CT spine — 140 mm wide — sagittal reformat
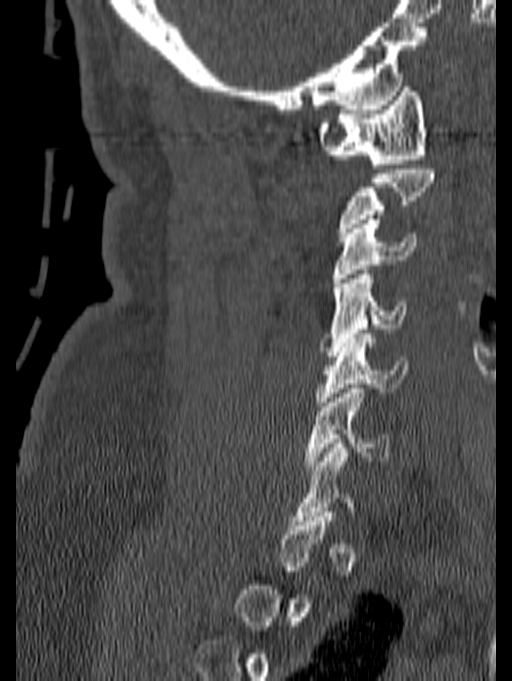

Bounding boxes as [x1, y1, x2, y2] in pixel coordinates.
A vertebra gets a box only on the slices from the first to the last where its cross-section is at least a third of its largest; on a slice outside that range it gets none.
Vertebra bounding boxes:
- C1: [316, 82, 426, 168]
- C3: [332, 219, 418, 282]
- C4: [319, 270, 407, 356]
- C5: [315, 334, 408, 406]
- C6: [305, 384, 389, 470]